CT, spine; sagittal reformat; bone window; 322 mm across the image
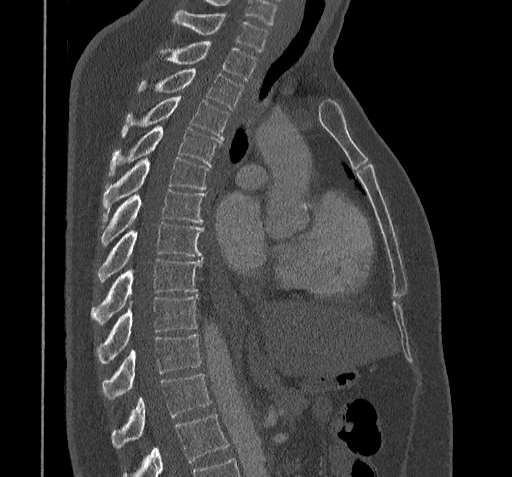
In the table, x1 and y1 are a box's top-left corner and x2 and y2 its bottom-right corner, in pixels.
A vertebra cut off by the bottom edge of the scan is not labeled and has no box.
| vertebra | x1 | y1 | x2 | y2 |
|---|---|---|---|---|
| C7 | 173 | 10 | 267 | 52 |
| T1 | 160 | 42 | 256 | 79 |
| T2 | 138 | 67 | 244 | 109 |
| T3 | 122 | 96 | 228 | 141 |
| T4 | 109 | 125 | 221 | 175 |
| T5 | 103 | 157 | 209 | 221 |
| T6 | 101 | 189 | 205 | 245 |
| T7 | 98 | 222 | 202 | 281 |
| T8 | 90 | 259 | 202 | 324 |
| T9 | 97 | 295 | 197 | 362 |
| T10 | 101 | 333 | 201 | 398 |
| T11 | 111 | 374 | 210 | 448 |